Computed tomography of the spine — sagittal reformat — part of the scan has been removed (filled with constant black)
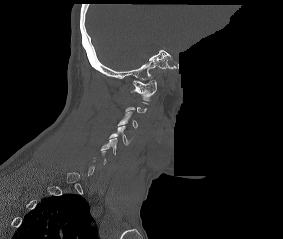
Box values are [left, top, right, bottom] in pixels.
Not every vertebra on this slice has a box: a vertebra is boxed only from the first to the last slice where its cross-section is at least a third of its largest, and this slice is outside that range for at least one of them.
{"vertebrae":{"C1":[131,79,156,101],"C3":[117,111,138,128],"C4":[109,126,133,144],"C5":[101,138,117,154]}}